CT, spine. Sagittal slice 94/210. image width 210 mm. 5 vertebrae labeled in this scan
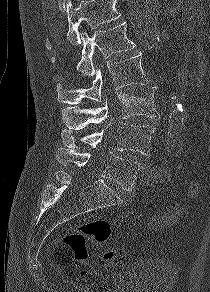 Box edges are left/top/right/bottom in pixels.
No box is given to a vertebra that the top edge of the scan cuts off.
L1: left=51, top=22, right=135, bottom=75
L2: left=57, top=51, right=147, bottom=104
L3: left=62, top=87, right=159, bottom=129
L4: left=61, top=122, right=155, bottom=155
L5: left=55, top=148, right=141, bottom=191